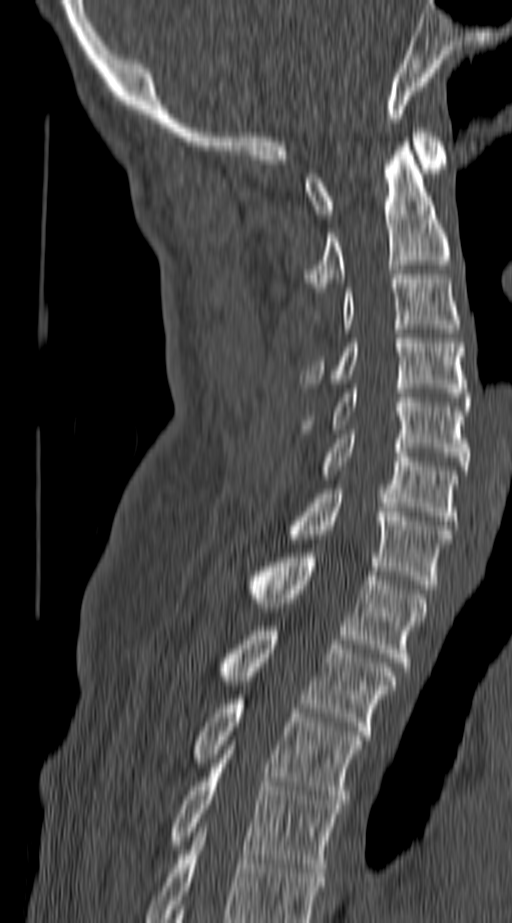 CT spine; sagittal view; bone window; the image is 140 mm wide; 512x923 px
Labels in this scan begin with C1 at the top and end with T4 at the bottom.
<vertebrae><v name="T4" x1="170" y1="754" x2="340" y2="872"/><v name="T3" x1="192" y1="699" x2="362" y2="804"/><v name="T2" x1="217" y1="626" x2="395" y2="735"/><v name="T1" x1="246" y1="553" x2="425" y2="671"/><v name="C7" x1="287" y1="489" x2="450" y2="589"/><v name="C6" x1="320" y1="434" x2="457" y2="525"/><v name="C5" x1="301" y1="389" x2="468" y2="470"/><v name="C4" x1="301" y1="334" x2="468" y2="401"/><v name="C3" x1="312" y1="274" x2="461" y2="328"/><v name="C2" x1="305" y1="142" x2="450" y2="292"/><v name="C1" x1="305" y1="128" x2="447" y2="218"/></vertebrae>